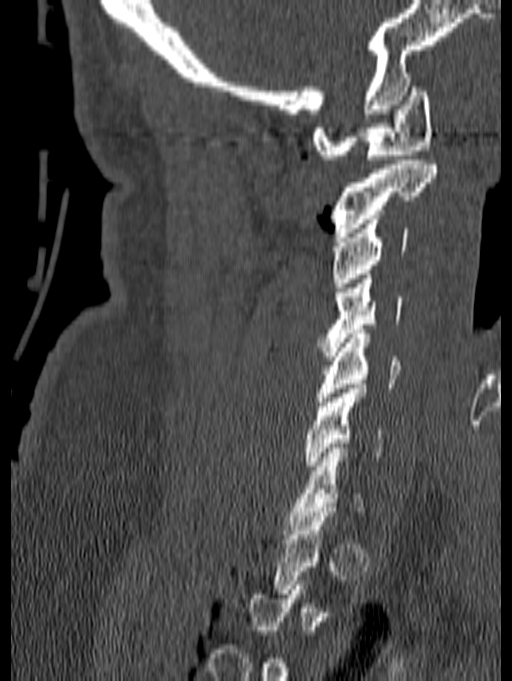
CT — sagittal view — 512x681 px

Each box given as x1,y1,x2,y2.
Not every vertebra on this slice has a box: a vertebra is boxed only from the first to the last slice where its cross-section is at least a third of its largest, and this slice is outside that range for at least one of them.
| vertebra | x1 | y1 | x2 | y2 |
|---|---|---|---|---|
| C1 | 313 | 82 | 432 | 159 |
| C2 | 330 | 160 | 436 | 237 |
| C3 | 332 | 219 | 409 | 287 |
| C4 | 318 | 274 | 403 | 356 |
| C5 | 316 | 329 | 400 | 406 |
| C6 | 305 | 384 | 384 | 470 |